Spine computed tomography · sagittal view · 9 vertebrae labeled in this scan · the image is 227 mm wide
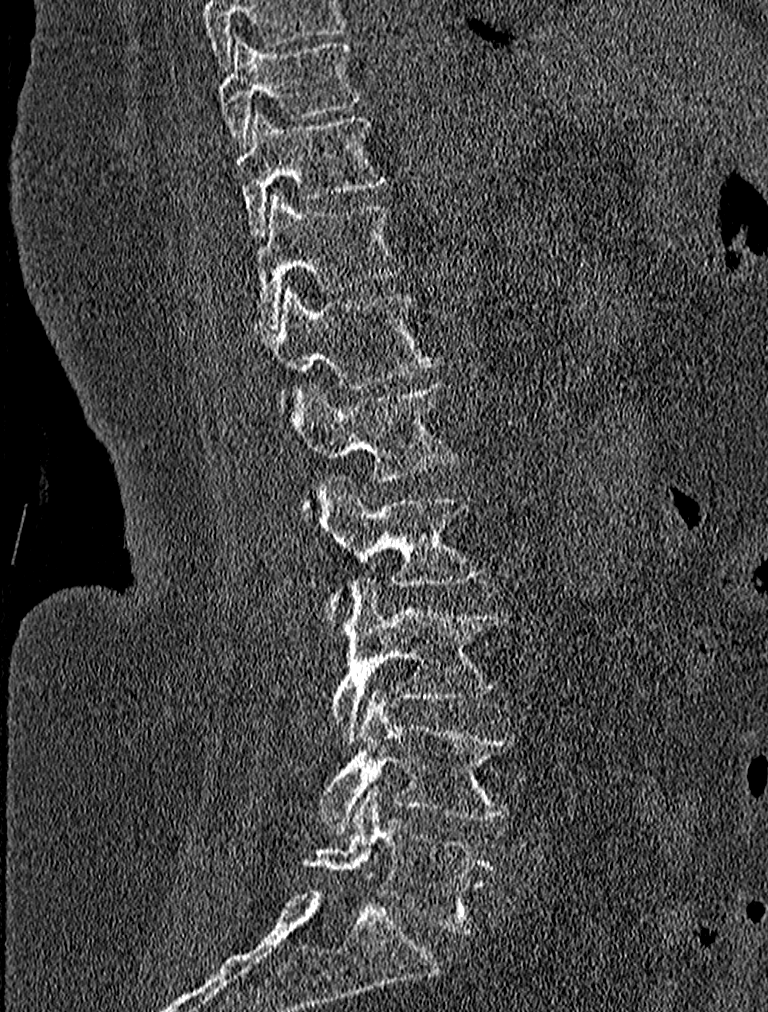

Each row gives a vertebra's box as x1, y1, x2, y2 in pixels: top-left corner, then bottom-right corner.
In this scan, the topmost labeled vertebra is T9 and the lowest is L5.
| vertebra | x1 | y1 | x2 | y2 |
|---|---|---|---|---|
| T9 | 219 | 35 | 363 | 148 |
| T10 | 235 | 110 | 387 | 237 |
| T11 | 254 | 189 | 404 | 329 |
| T12 | 260 | 285 | 441 | 415 |
| L1 | 292 | 382 | 458 | 515 |
| L2 | 324 | 473 | 485 | 629 |
| L3 | 330 | 577 | 509 | 745 |
| L4 | 317 | 688 | 517 | 830 |
| L5 | 303 | 790 | 499 | 932 |